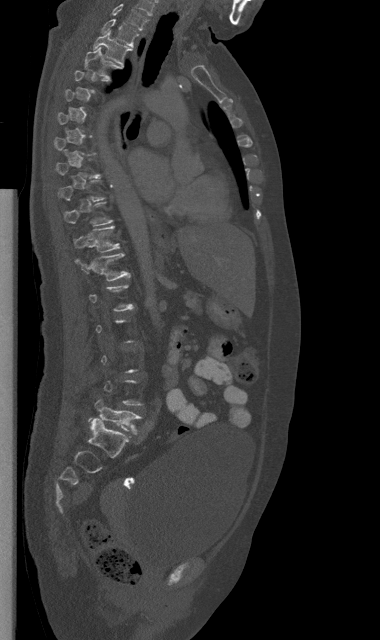 CT, spine — sagittal view — bone window — 380x640 px
Bounding boxes as [x1, y1, x2, y2] in pixel coordinates.
Each vertebra is boxed only on the slices from the first to the last where its cross-section reaches a third of its largest, so a slice outside that range leaves it unboxed.
Vertebra bounding boxes:
- C7: [112, 3, 148, 30]
- T1: [101, 19, 138, 46]
- T2: [93, 31, 132, 65]
- T3: [84, 47, 123, 80]
- T11: [74, 225, 119, 251]
- T12: [75, 251, 130, 280]
- L5: [88, 400, 140, 433]